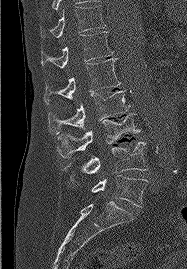
Computed tomography of the spine. sagittal view. W/L 1800/400 HU. 187x269 px. 187 mm across the image
Bounding boxes as [x1, y1, x2, y2] in pixel coordinates.
L5: [91, 175, 147, 207]
L4: [64, 142, 147, 181]
L3: [57, 114, 140, 157]
L2: [48, 90, 129, 135]
L1: [44, 58, 121, 104]
T12: [41, 31, 113, 69]
T11: [40, 5, 105, 38]